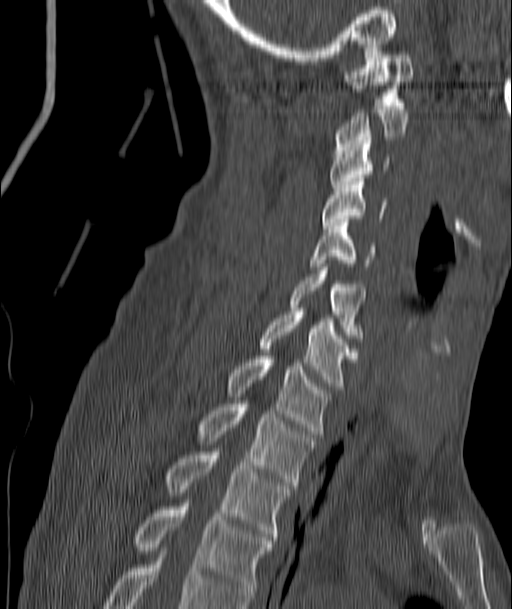

Spine computed tomography. 187 mm across the image. sagittal reformat. bone window
Boxes are (x1, y1, x2, y2) in pixels.
Vertebra bounding boxes:
- T4: (132, 500, 274, 598)
- T3: (165, 452, 290, 540)
- T2: (198, 404, 315, 488)
- T1: (228, 356, 328, 437)
- C7: (258, 311, 356, 389)
- C6: (291, 267, 364, 341)
- C5: (310, 219, 375, 266)
- C4: (321, 178, 386, 228)
- C3: (329, 144, 389, 191)
- C2: (335, 106, 408, 150)
- C1: (343, 44, 413, 105)